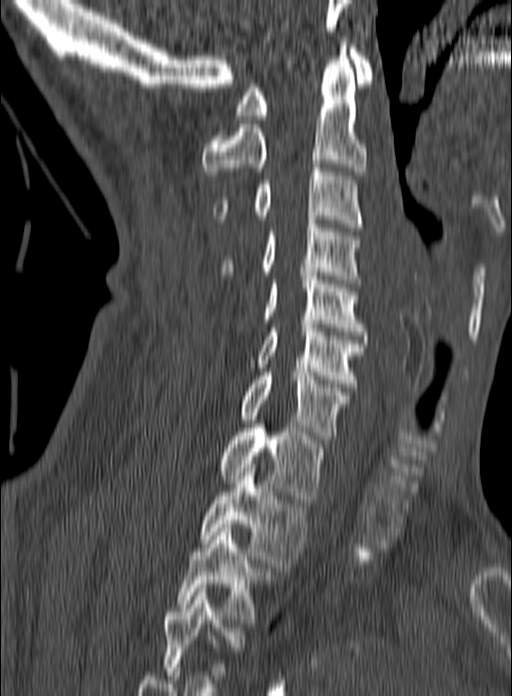

Computed tomography of the spine; sagittal reformat; W/L 1800/400 HU; image width 160 mm
This scan's labels start at C1 at the top and end at T3 at the bottom.
<vertebrae><v name="T3" x1="177" y1="524" x2="270" y2="623"/><v name="T2" x1="200" y1="464" x2="307" y2="567"/><v name="T1" x1="219" y1="424" x2="325" y2="503"/><v name="C7" x1="240" y1="368" x2="350" y2="439"/><v name="C6" x1="249" y1="320" x2="365" y2="387"/><v name="C5" x1="262" y1="272" x2="366" y2="335"/><v name="C4" x1="220" y1="220" x2="362" y2="283"/><v name="C3" x1="213" y1="164" x2="363" y2="227"/><v name="C2" x1="202" y1="44" x2="366" y2="179"/><v name="C1" x1="234" y1="48" x2="374" y2="119"/></vertebrae>